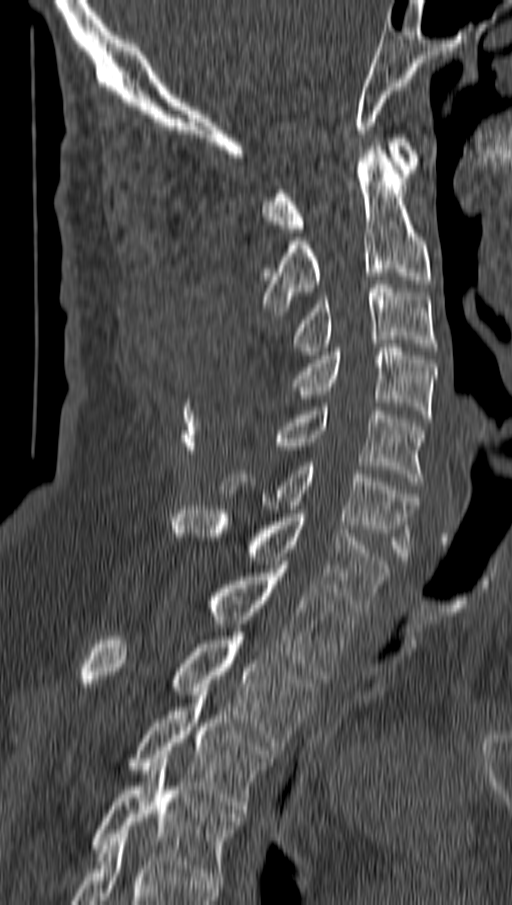 CT, spine · 162 mm wide · sagittal reformat
Each row gives a vertebra's box as x1, y1, x2, y2 in pixels: top-left corner, then bottom-right corner.
| vertebra | x1 | y1 | x2 | y2 |
|---|---|---|---|---|
| C1 | 263 | 134 | 419 | 232 |
| C2 | 260 | 142 | 430 | 315 |
| C3 | 292 | 280 | 437 | 355 |
| C4 | 292 | 344 | 436 | 418 |
| C5 | 273 | 403 | 424 | 485 |
| C6 | 221 | 462 | 417 | 560 |
| C7 | 172 | 506 | 389 | 611 |
| T1 | 210 | 565 | 354 | 679 |
| T2 | 80 | 632 | 316 | 750 |
| T3 | 131 | 691 | 275 | 813 |
| T4 | 93 | 759 | 240 | 880 |